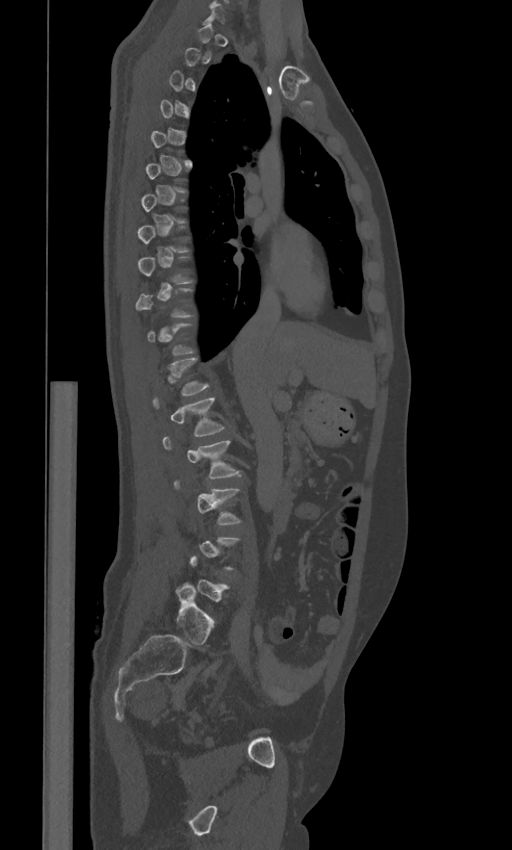
Computed tomography of the spine — sagittal view
Each vertebra is boxed only on the slices from the first to the last where its cross-section reaches a third of its largest, so a slice outside that range leaves it unboxed.
The labels name a sixth lumbar vertebra for this spine: L6, after L5.
<vertebrae><v name="L6" x1="175" y1="583" x2="214" y2="644"/><v name="L3" x1="173" y1="480" x2="240" y2="524"/><v name="L2" x1="163" y1="436" x2="240" y2="477"/><v name="L1" x1="152" y1="396" x2="224" y2="436"/></vertebrae>